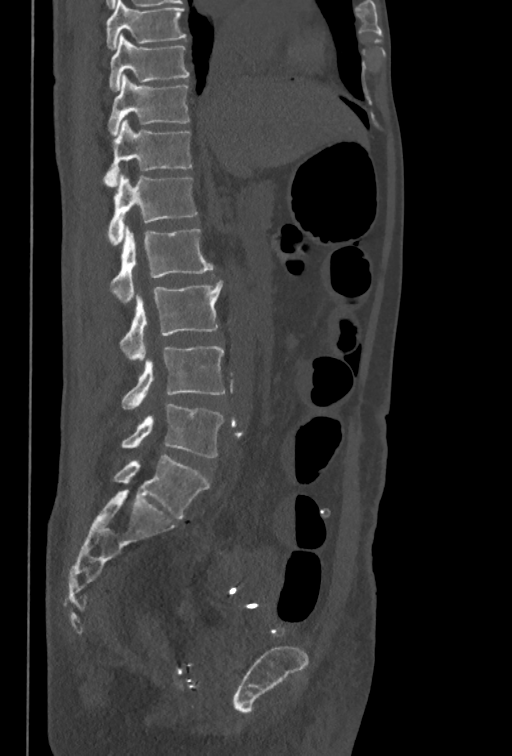 CT. 350 mm across the image. sagittal view. bone-window reconstruction
Each box given as x1,y1,x2,y2.
The highest labeled vertebra in this scan is T10; the lowest is L5.
L5: x1=121, y1=403, x2=223, y2=457
L4: x1=122, y1=346, x2=226, y2=410
L3: x1=120, y1=280, x2=223, y2=360
L2: x1=111, y1=226, x2=212, y2=303
L1: x1=108, y1=175, x2=196, y2=245
T12: x1=103, y1=120, x2=192, y2=186
T11: x1=108, y1=74, x2=189, y2=136
T10: x1=109, y1=34, x2=189, y2=91